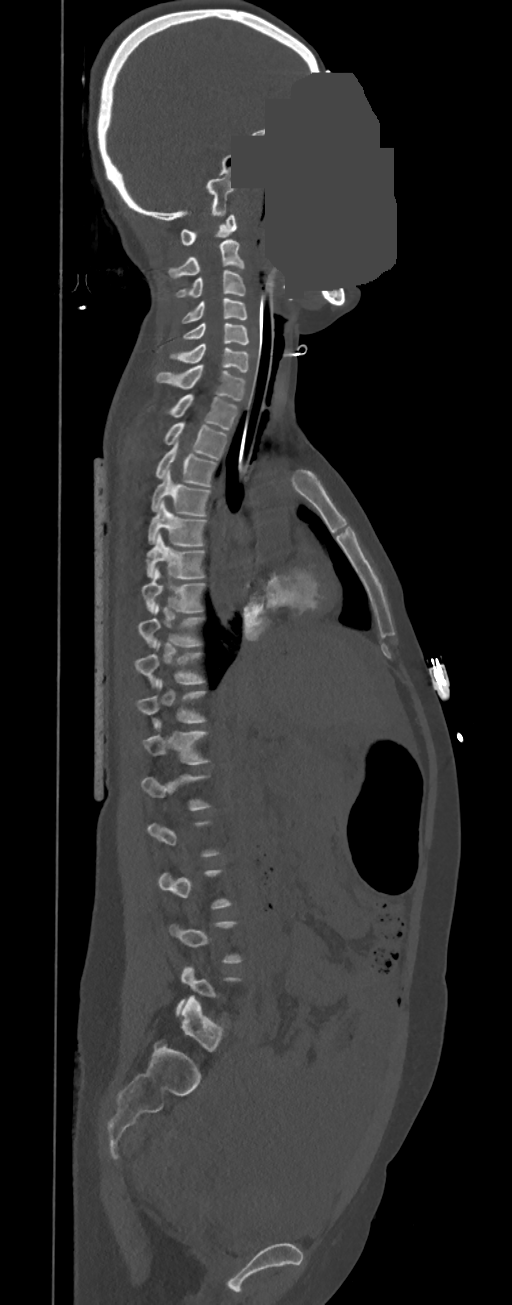

CT spine — sagittal view — Bone window (WL 400, WW 1800) — an area of the scan was removed and filled with constant pixels
A vertebra is boxed only from the first to the last slice where its cross-section is at least a third of its largest; slices outside that range leave it without a box.
<vertebrae><v name="C1" x1="180" y1="215" x2="236" y2="245"/><v name="C2" x1="168" y1="240" x2="245" y2="278"/><v name="C3" x1="175" y1="270" x2="245" y2="298"/><v name="C4" x1="181" y1="298" x2="247" y2="323"/><v name="C5" x1="183" y1="323" x2="249" y2="344"/><v name="C6" x1="169" y1="344" x2="249" y2="372"/><v name="C7" x1="156" y1="365" x2="245" y2="401"/><v name="T1" x1="168" y1="394" x2="237" y2="430"/><v name="T2" x1="164" y1="423" x2="227" y2="460"/><v name="T3" x1="155" y1="442" x2="217" y2="486"/><v name="T4" x1="150" y1="469" x2="211" y2="516"/><v name="T5" x1="148" y1="500" x2="206" y2="545"/><v name="T6" x1="146" y1="532" x2="205" y2="578"/><v name="T7" x1="142" y1="569" x2="205" y2="613"/><v name="T8" x1="137" y1="604" x2="204" y2="647"/><v name="T9" x1="134" y1="642" x2="205" y2="688"/><v name="T10" x1="136" y1="681" x2="205" y2="728"/><v name="T11" x1="143" y1="721" x2="209" y2="764"/></vertebrae>